Computed tomography of the spine. Sagittal slice 290/556. bone-window reconstruction. 19 vertebrae labeled in this scan
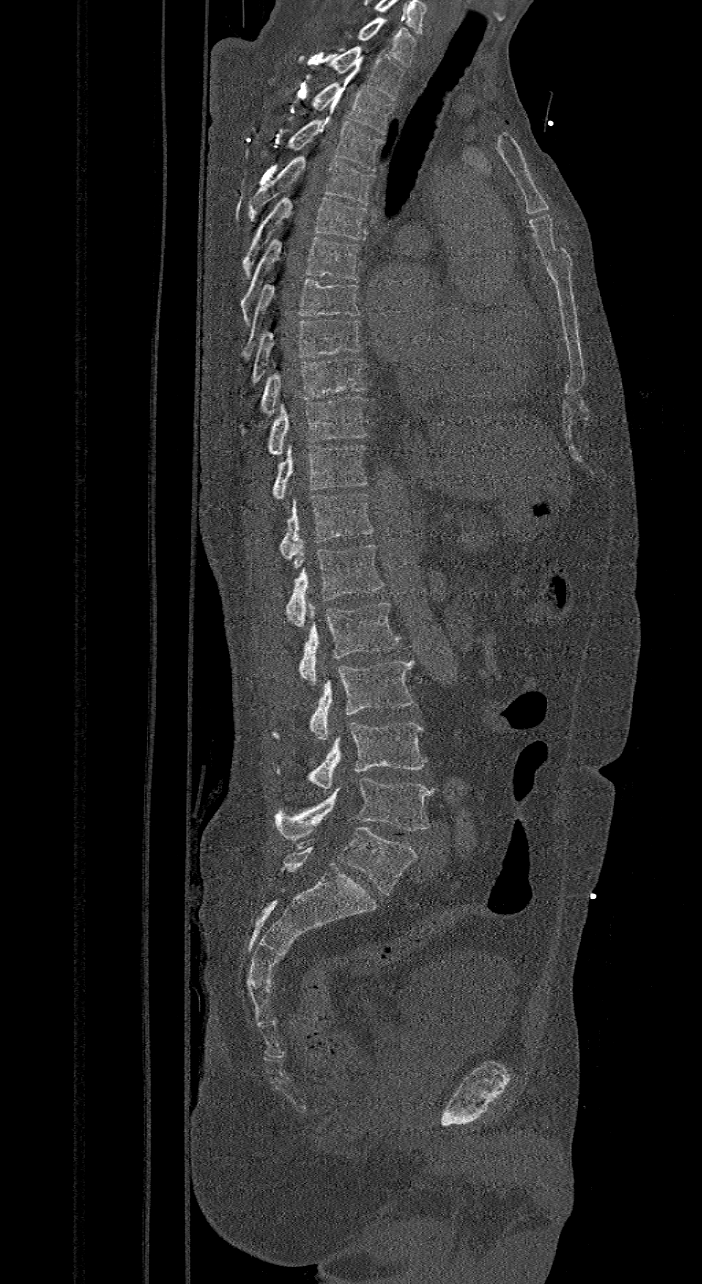 In this scan, the topmost labeled vertebra is C7 and the lowest is L6.
The labels name a sixth lumbar vertebra for this spine: L6, after L5.
<vertebrae><v name="C7" x1="356" y1="17" x2="416" y2="67"/><v name="T1" x1="296" y1="45" x2="405" y2="100"/><v name="T2" x1="310" y1="82" x2="394" y2="134"/><v name="T3" x1="260" y1="119" x2="383" y2="170"/><v name="T4" x1="247" y1="156" x2="375" y2="221"/><v name="T5" x1="243" y1="197" x2="366" y2="278"/><v name="T6" x1="240" y1="235" x2="359" y2="324"/><v name="T7" x1="240" y1="278" x2="359" y2="359"/><v name="T8" x1="249" y1="320" x2="361" y2="381"/><v name="T9" x1="236" y1="357" x2="365" y2="435"/><v name="T10" x1="269" y1="395" x2="368" y2="454"/><v name="T11" x1="273" y1="445" x2="368" y2="498"/><v name="T12" x1="280" y1="490" x2="372" y2="560"/><v name="L1" x1="286" y1="545" x2="384" y2="626"/><v name="L2" x1="299" y1="602" x2="399" y2="685"/><v name="L3" x1="310" y1="661" x2="414" y2="740"/><v name="L4" x1="275" y1="723" x2="425" y2="790"/><v name="L5" x1="275" y1="778" x2="432" y2="840"/><v name="L6" x1="278" y1="826" x2="417" y2="895"/></vertebrae>